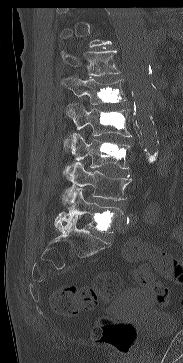 Spine CT — sagittal reformat — bone window
Box edges are left/top/right/bottom in pixels. Each vertebra is boxed only on the slices from the first to the last where its cross-section reaches a third of its largest, so a slice outside that range leaves it unboxed. Vertebrae labeled: T12 at left=60, top=49, right=120, bottom=77, L1 at left=62, top=74, right=127, bottom=104, L2 at left=64, top=103, right=131, bottom=150, L3 at left=63, top=133, right=130, bottom=177, L4 at left=61, top=162, right=131, bottom=205, L5 at left=54, top=188, right=123, bottom=233.